CT spine. 478 mm across the image. sagittal reformat
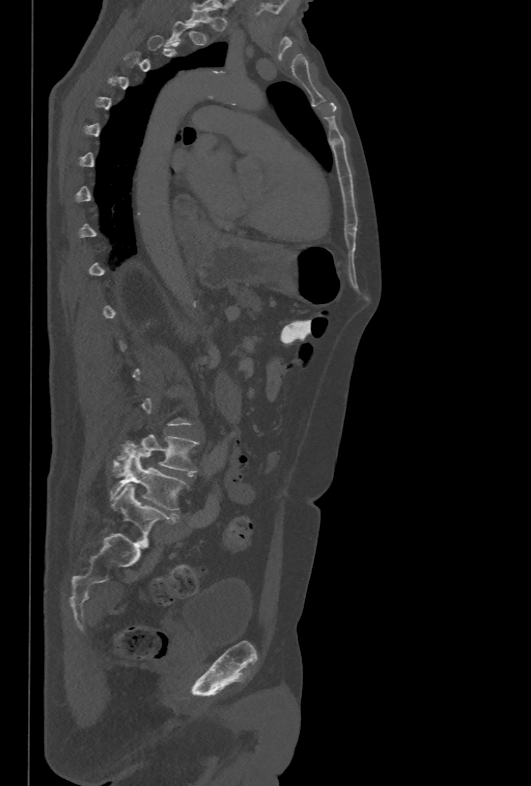
Not every vertebra on this slice has a box: a vertebra is boxed only from the first to the last slice where its cross-section is at least a third of its largest, and this slice is outside that range for at least one of them.
<vertebrae><v name="L4" x1="112" y1="434" x2="199" y2="476"/><v name="L5" x1="110" y1="453" x2="188" y2="511"/></vertebrae>